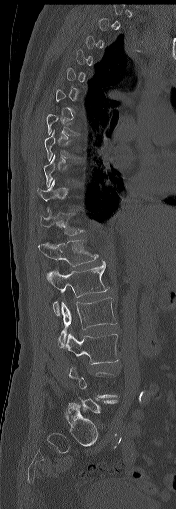 CT spine · sagittal view

Boxes are given in columns x1, y1, x2, y2, the pixel coordinates of their top-left and bottom-right corners.
A vertebra gets a box only on the slices from the first to the last where its cross-section is at least a third of its largest; on a slice outside that range it gets none.
| vertebra | x1 | y1 | x2 | y2 |
|---|---|---|---|---|
| T7 | 46 | 114 | 81 | 135 |
| T8 | 44 | 129 | 83 | 160 |
| T11 | 40 | 210 | 84 | 235 |
| T12 | 38 | 240 | 99 | 266 |
| L1 | 46 | 260 | 109 | 315 |
| L2 | 58 | 297 | 116 | 347 |
| L3 | 64 | 333 | 118 | 364 |